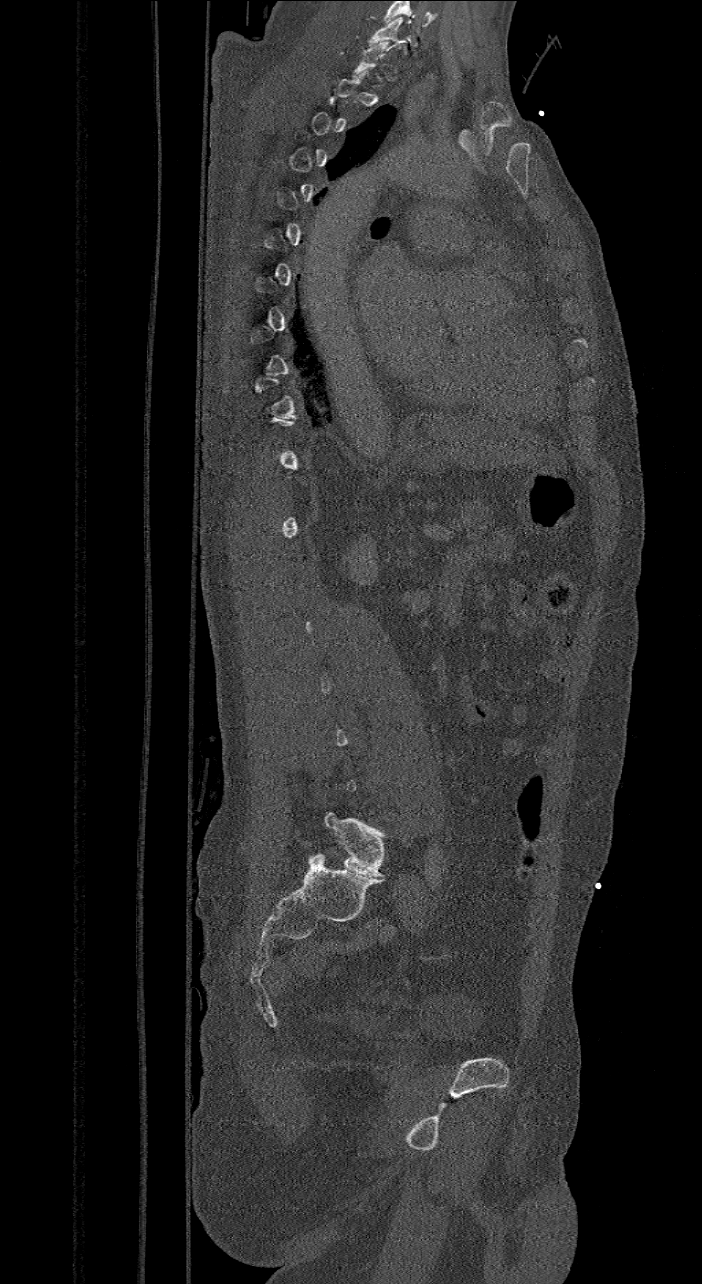

Spine computed tomography — sagittal reformat — bone window
Coordinates as <box>x1,y1,x2,y2</box>.
Not every vertebra on this slice has a box: a vertebra is boxed only from the first to the last slice where its cross-section is at least a third of its largest, and this slice is outside that range for at least one of them.
The highest labeled vertebra in this scan is C7; the lowest is L6.
These labels give the spine a sixth lumbar vertebra, L6, below L5.
L6: <box>325,813,385,877</box>
C7: <box>369,18,409,53</box>